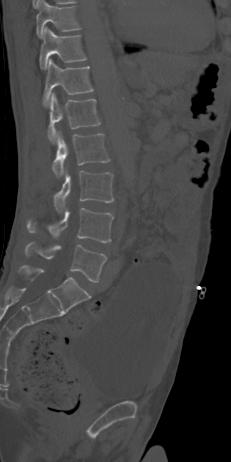

Spine computed tomography. sagittal reformat. 231 mm wide

Boxes: x1:y1:x2:y2 in pixels.
T10: 36:0:80:37
T11: 39:27:86:69
T12: 43:58:93:106
L1: 47:92:100:142
L2: 52:132:110:177
L3: 53:171:113:211
L4: 27:208:113:242
L5: 25:243:106:282